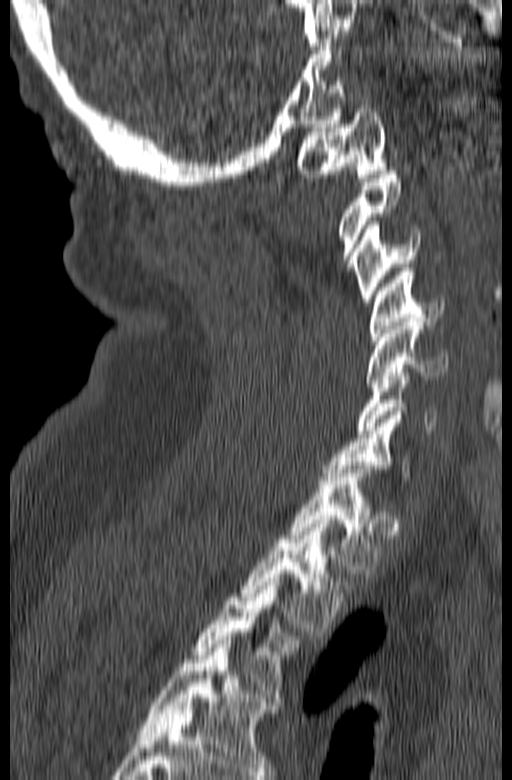 CT. sagittal view
A vertebra is boxed only from the first to the last slice where its cross-section is at least a third of its largest; slices outside that range leave it without a box.
Labels in this scan begin with C1 at the top and end with T3 at the bottom.
<vertebrae><v name="C1" x1="296" y1="105" x2="386" y2="181"/><v name="C2" x1="336" y1="167" x2="401" y2="271"/><v name="C3" x1="352" y1="221" x2="420" y2="302"/><v name="C4" x1="370" y1="268" x2="444" y2="340"/><v name="C5" x1="364" y1="318" x2="448" y2="387"/><v name="C6" x1="356" y1="368" x2="437" y2="433"/><v name="T1" x1="285" y1="465" x2="382" y2="573"/><v name="T2" x1="241" y1="520" x2="354" y2="631"/><v name="T3" x1="191" y1="578" x2="298" y2="697"/></vertebrae>